Spine CT; Sagittal slice 201/512; Bone window (WL 400, WW 1800); 512x696 px
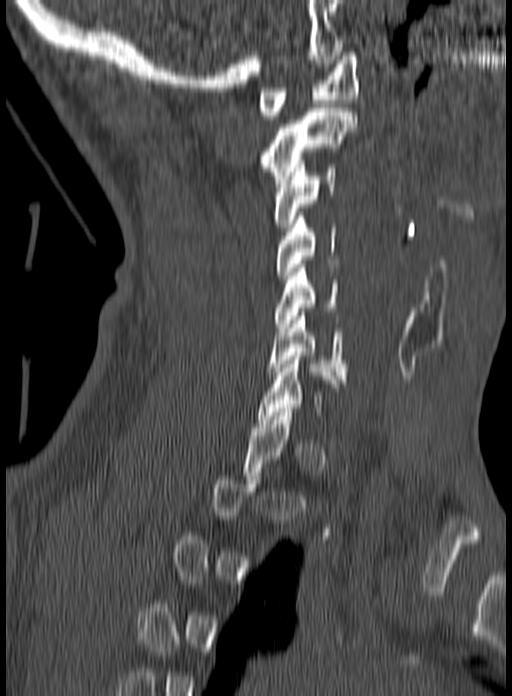

Box edges are left/top/right/bottom in pixels.
Not every vertebra on this slice has a box: a vertebra is boxed only from the first to the last slice where its cross-section is at least a third of its largest, and this slice is outside that range for at least one of them.
C1: left=258, top=52, right=359, bottom=119
C2: left=260, top=108, right=356, bottom=187
C3: left=273, top=164, right=336, bottom=231
C4: left=276, top=212, right=336, bottom=279
C5: left=275, top=264, right=338, bottom=331
C6: left=267, top=308, right=347, bottom=383